Computed tomography of the spine · sagittal view · W/L 1800/400 HU · 512x980 px
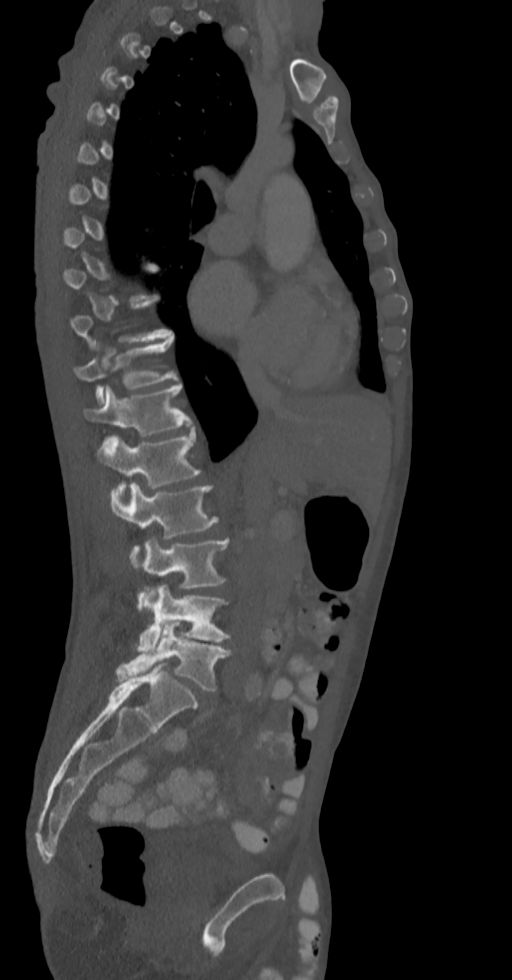
Columns x1, y1, x2, y2 give each box's top-left and bottom-right pixels.
A vertebra is boxed only from the first to the last slice where its cross-section is at least a third of its largest; slices outside that range leave it without a box.
| vertebra | x1 | y1 | x2 | y2 |
|---|---|---|---|---|
| T11 | 74 | 338 | 177 | 403 |
| T12 | 84 | 384 | 192 | 436 |
| L1 | 97 | 431 | 200 | 506 |
| L2 | 111 | 482 | 218 | 567 |
| L3 | 143 | 538 | 229 | 589 |
| L4 | 138 | 584 | 230 | 654 |
| L5 | 116 | 622 | 230 | 691 |